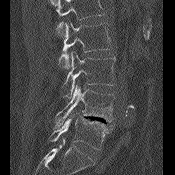 CT · sagittal view · bone window · the image spans 175 mm across
Bounding boxes as [x1, y1, x2, y2] in pixel coordinates.
A vertebra cut off by the top edge of the scan is not labeled and has no box.
Vertebra bounding boxes:
- L2: [57, 21, 111, 68]
- L3: [61, 51, 115, 97]
- L4: [53, 83, 115, 128]
- L5: [48, 113, 112, 150]